Computed tomography of the spine — sagittal reformat — W/L 1800/400 HU — 512x696 px — 10 vertebrae labeled in this scan
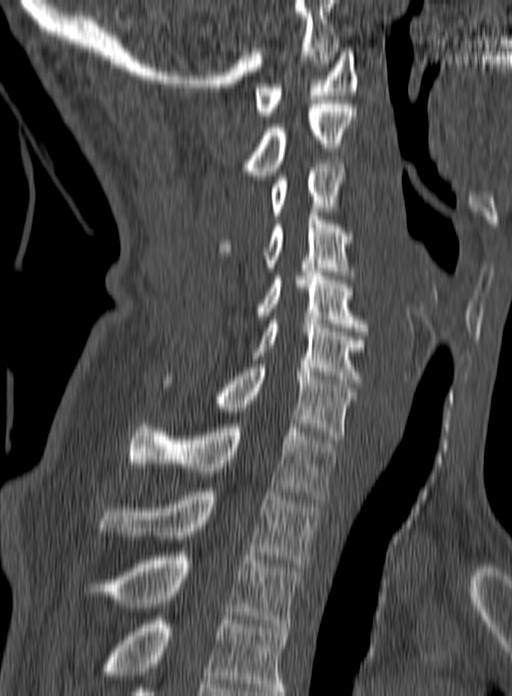
The highest labeled vertebra in this scan is C1; the lowest is T3.
<vertebrae><v name="T3" x1="83" y1="552" x2="301" y2="627"/><v name="T2" x1="100" y1="488" x2="317" y2="567"/><v name="T1" x1="128" y1="420" x2="338" y2="499"/><v name="C7" x1="216" y1="364" x2="357" y2="443"/><v name="C6" x1="250" y1="320" x2="368" y2="383"/><v name="C5" x1="259" y1="268" x2="367" y2="335"/><v name="C4" x1="218" y1="212" x2="354" y2="279"/><v name="C3" x1="270" y1="160" x2="344" y2="219"/><v name="C2" x1="242" y1="104" x2="355" y2="175"/><v name="C1" x1="254" y1="48" x2="357" y2="119"/></vertebrae>